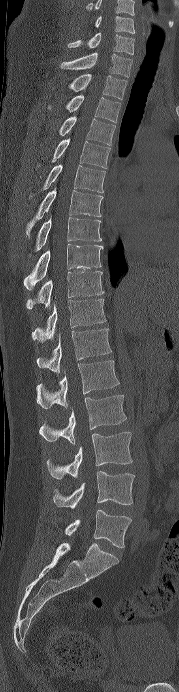 CT · sagittal view · Bone window (WL 400, WW 1800) · the image spans 179 mm across
Each box given as x1,y1,x2,y2.
This scan's labels start at C6 at the top and end at L5 at the bottom.
| vertebra | x1 | y1 | x2 | y2 |
|---|---|---|---|---|
| L5 | 64 | 510 | 131 | 548 |
| L4 | 52 | 471 | 134 | 508 |
| L3 | 46 | 432 | 132 | 479 |
| L2 | 39 | 395 | 126 | 444 |
| L1 | 36 | 360 | 119 | 408 |
| T12 | 36 | 328 | 111 | 373 |
| T11 | 31 | 299 | 106 | 342 |
| T10 | 26 | 271 | 104 | 309 |
| T9 | 24 | 244 | 103 | 290 |
| T8 | 29 | 216 | 101 | 256 |
| T7 | 26 | 187 | 103 | 235 |
| T6 | 30 | 164 | 105 | 197 |
| T5 | 51 | 138 | 110 | 168 |
| T4 | 59 | 116 | 115 | 145 |
| T3 | 48 | 95 | 120 | 122 |
| T2 | 69 | 73 | 127 | 99 |
| T1 | 60 | 52 | 132 | 77 |
| C7 | 67 | 32 | 134 | 54 |
| C6 | 94 | 16 | 135 | 34 |